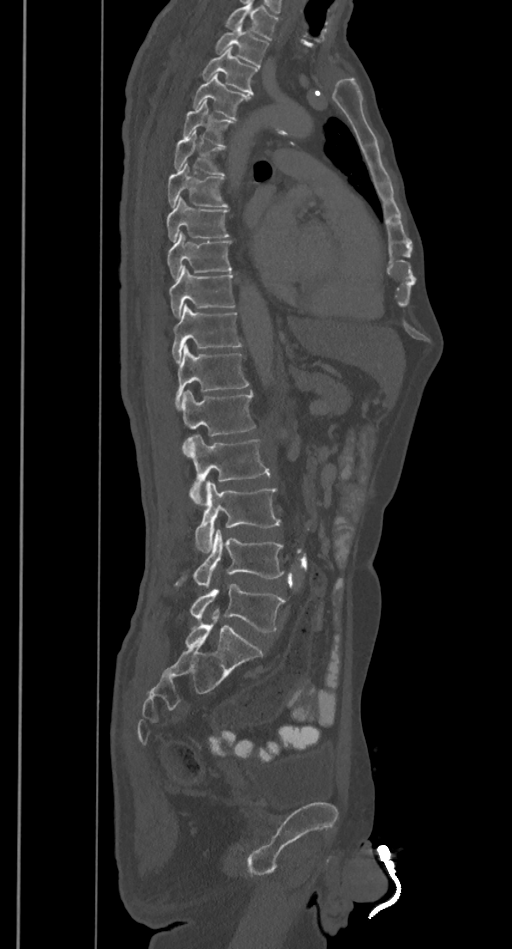 Spine CT; 385 mm wide; sagittal view
Vertebrae that run past the top of the scan are left unlabeled.
<vertebrae><v name="L5" x1="190" y1="583" x2="285" y2="632"/><v name="L4" x1="175" y1="529" x2="283" y2="587"/><v name="L3" x1="195" y1="481" x2="281" y2="551"/><v name="L2" x1="183" y1="434" x2="270" y2="505"/><v name="L1" x1="183" y1="390" x2="255" y2="436"/><v name="T12" x1="175" y1="345" x2="249" y2="410"/><v name="T11" x1="172" y1="304" x2="241" y2="362"/><v name="T10" x1="169" y1="267" x2="234" y2="317"/><v name="T9" x1="167" y1="231" x2="232" y2="279"/><v name="T8" x1="166" y1="196" x2="229" y2="241"/><v name="T7" x1="167" y1="164" x2="228" y2="207"/><v name="T6" x1="174" y1="132" x2="225" y2="175"/><v name="T5" x1="182" y1="101" x2="234" y2="145"/><v name="T4" x1="193" y1="74" x2="250" y2="119"/><v name="T3" x1="201" y1="48" x2="258" y2="94"/><v name="T2" x1="215" y1="25" x2="269" y2="66"/></vertebrae>